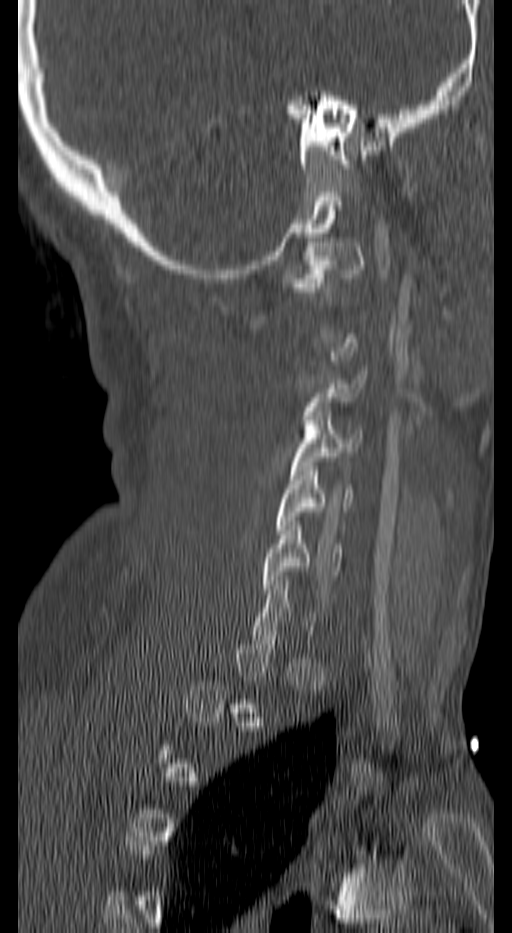
CT, spine. sagittal reformat. 512x933 px. 140 mm image width
A vertebra gets a box only on the slices from the first to the last where its cross-section is at least a third of its largest; on a slice outside that range it gets none.
<vertebrae><v name="C1" x1="287" y1="242" x2="366" y2="292"/><v name="C3" x1="302" y1="370" x2="366" y2="433"/><v name="C4" x1="290" y1="411" x2="362" y2="479"/><v name="C5" x1="276" y1="466" x2="351" y2="534"/><v name="C6" x1="261" y1="521" x2="341" y2="593"/></vertebrae>